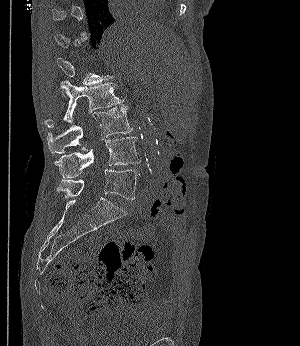
CT spine · 300 mm across the image · sagittal view · 300x346 px. Each box given as x1,y1,x2,y2.
A vertebra is boxed only from the first to the last slice where its cross-section is at least a third of its largest; slices outside that range leave it without a box.
L2: x1=45, y1=79, x2=123, y2=127
L3: x1=47, y1=105, x2=132, y2=153
L4: x1=54, y1=136, x2=140, y2=177
L5: x1=56, y1=169, x2=140, y2=200